Spine CT · sagittal plane, index 72 · bone-window reconstruction · image 177 mm wide
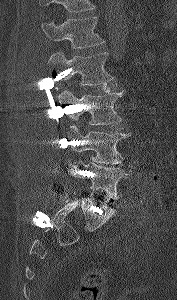 Vertebrae that run past the top of the scan are left unlabeled.
<vertebrae><v name="L1" x1="41" y1="17" x2="105" y2="48"/><v name="L2" x1="48" y1="51" x2="114" y2="85"/><v name="L3" x1="58" y1="90" x2="123" y2="124"/><v name="L4" x1="64" y1="125" x2="130" y2="163"/><v name="L5" x1="69" y1="161" x2="128" y2="199"/></vertebrae>